Spine CT — sagittal plane, index 282 — Bone window (WL 400, WW 1800) — scan covers 10 annotated vertebrae
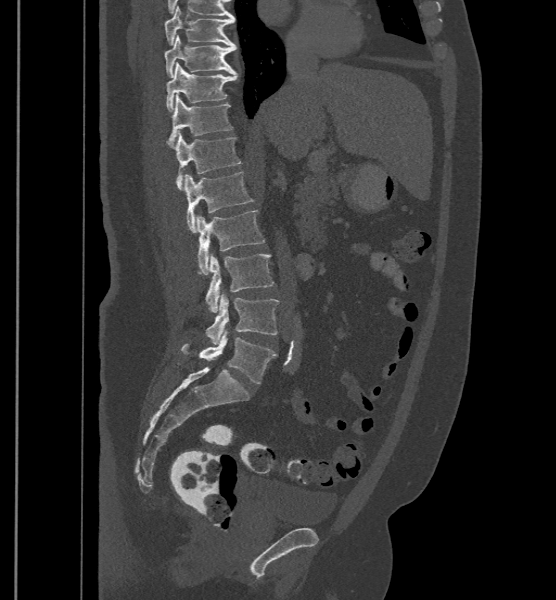 Boxes: x1:y1:x2:y2 in pixels. The labels name a sixth lumbar vertebra for this spine: L6, after L5. The labeled vertebrae in this slice are: T9 at 165:6:236:46, T10 at 165:34:236:77, T11 at 167:62:237:111, T12 at 167:94:233:148, L1 at 177:133:241:190, L2 at 184:171:255:232, L3 at 196:210:265:275, L4 at 205:253:274:312, L5 at 205:293:279:344, L6 at 180:331:277:383.